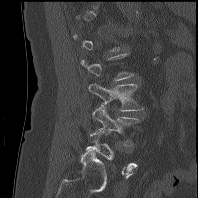
Spine computed tomography; sagittal view

Boxes are (x1, y1, x2, y2) in pixels.
Each vertebra is boxed only on the slices from the first to the last where its cross-section reaches a third of its largest, so a slice outside that range leaves it unboxed.
L3: (89, 83, 143, 111)
L4: (89, 106, 140, 145)